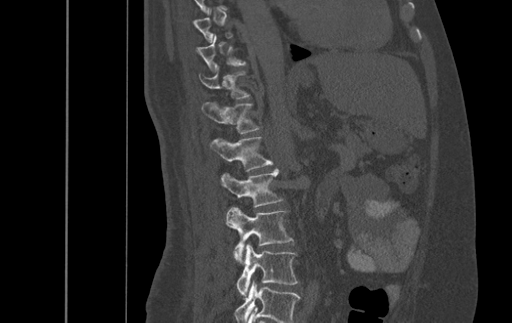 CT · sagittal view · Bone window (WL 400, WW 1800) · 500 mm wide
Box edges are left/top/right/bottom in pixels.
A vertebra gets a box only on the slices from the first to the last where its cross-section is at least a third of its largest; on a slice outside that range it gets none.
The highest labeled vertebra in this scan is T9; the lowest is L4.
Vertebra bounding boxes:
- T10: left=196, top=34, right=245, bottom=70
- T11: left=199, top=65, right=249, bottom=98
- T12: left=202, top=102, right=258, bottom=133
- L1: left=210, top=137, right=272, bottom=171
- L2: left=220, top=168, right=282, bottom=207
- L3: left=225, top=207, right=293, bottom=261
- L4: left=237, top=244, right=297, bottom=296